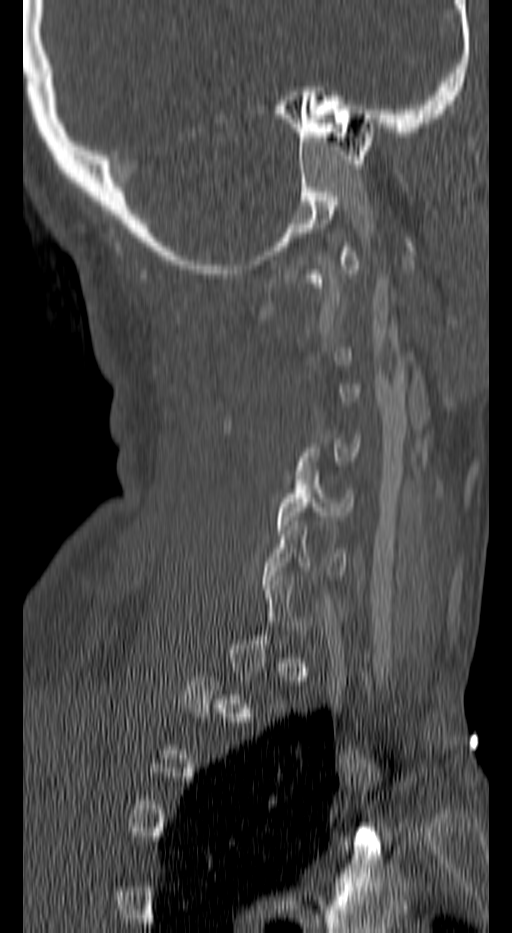
Spine CT · sagittal view · Bone window (WL 400, WW 1800) · image 140 mm wide
Bounding boxes as [x1, y1, x2, y2] in pixel coordinates. Each vertebra is boxed only on the slices from the first to the last where its cross-section reaches a third of its largest, so a slice outside that range leaves it unboxed. Vertebrae labeled: C6 at [264, 521, 347, 589], C5 at [276, 471, 353, 529].